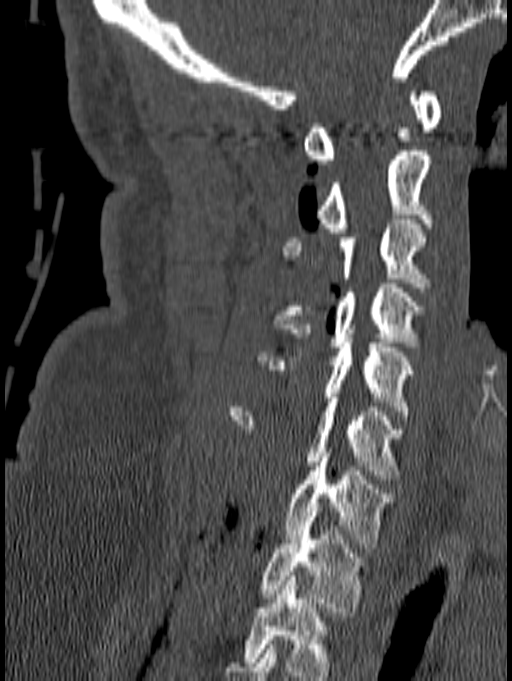

Computed tomography of the spine — sagittal reformat — W/L 1800/400 HU — the image is 140 mm wide. Boxes are (x1, y1, x2, y2) in pixels.
This scan's labels start at C1 at the top and end at T1 at the bottom.
C1: (303, 91, 442, 164)
C2: (315, 146, 432, 232)
C3: (282, 219, 431, 292)
C4: (273, 283, 426, 346)
C5: (258, 338, 414, 415)
C6: (229, 398, 405, 479)
C7: (283, 448, 392, 548)
T1: (261, 512, 366, 616)